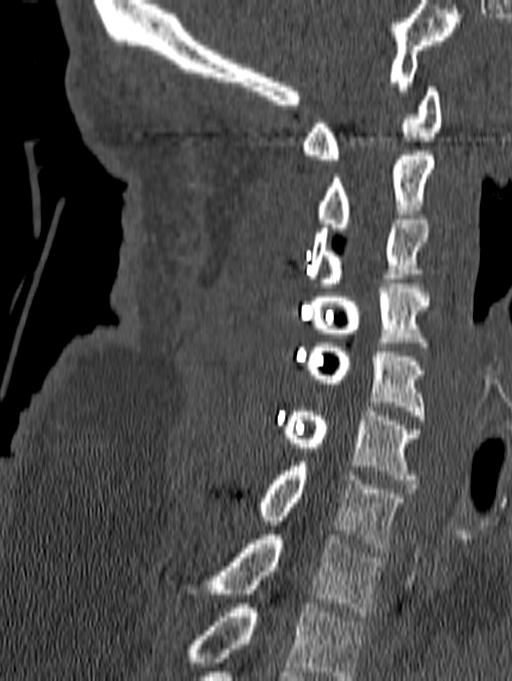

Computed tomography of the spine. sagittal reformat. bone-window reconstruction. 512x681 px. Coordinates as <box>x1,y1,x2,y2</box>.
This scan's labels start at C1 at the top and end at T1 at the bottom.
Vertebra bounding boxes:
- T1: <box>178,535,383,616</box>
- C7: <box>257,462,406,552</box>
- C6: <box>283,407,420,484</box>
- C5: <box>305,343,425,420</box>
- C4: <box>311,283,429,346</box>
- C3: <box>309,215,428,287</box>
- C2: <box>316,151,434,232</box>
- C1: <box>302,87,441,159</box>